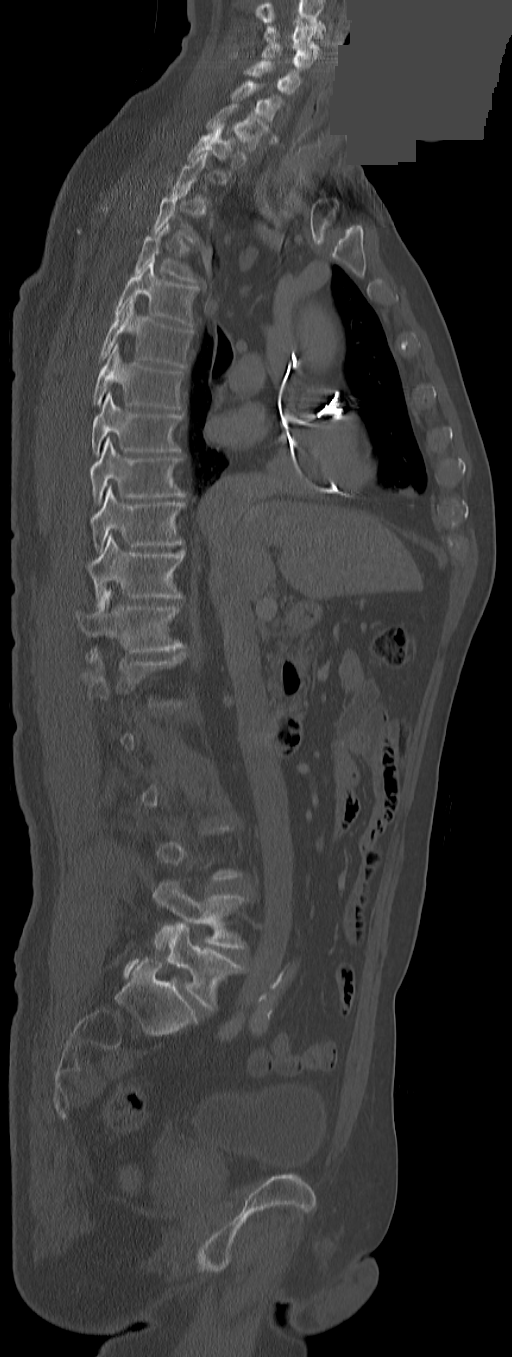 CT spine; sagittal view; Bone window (WL 400, WW 1800); an area of the scan was removed and filled with constant pixels

A vertebra is boxed only from the first to the last slice where its cross-section is at least a third of its largest; slices outside that range leave it without a box.
Labels in this scan begin with C3 at the top and end with L5 at the bottom.
<vertebrae><v name="L5" x1="166" y1="922" x2="242" y2="1010"/><v name="L4" x1="153" y1="880" x2="246" y2="951"/><v name="T12" x1="76" y1="588" x2="182" y2="652"/><v name="T11" x1="83" y1="535" x2="184" y2="600"/><v name="T10" x1="90" y1="486" x2="184" y2="552"/><v name="T9" x1="90" y1="439" x2="186" y2="503"/><v name="T8" x1="90" y1="391" x2="182" y2="455"/><v name="T7" x1="92" y1="343" x2="182" y2="409"/><v name="T6" x1="99" y1="295" x2="191" y2="367"/><v name="T5" x1="115" y1="257" x2="196" y2="327"/><v name="T4" x1="135" y1="224" x2="198" y2="283"/><v name="T1" x1="187" y1="123" x2="235" y2="161"/><v name="C7" x1="206" y1="103" x2="268" y2="149"/><v name="C6" x1="232" y1="80" x2="281" y2="121"/><v name="C5" x1="243" y1="61" x2="300" y2="94"/><v name="C4" x1="262" y1="43" x2="314" y2="70"/><v name="C3" x1="264" y1="25" x2="318" y2="56"/></vertebrae>